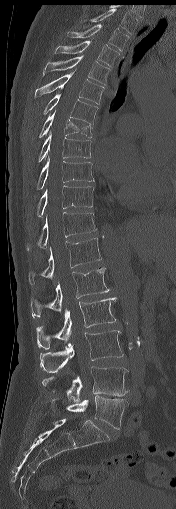

Spine CT. sagittal view
Coordinates as <box>x1,y1,x2,y2</box>.
Vertebra bounding boxes:
- L5: <box>51,396,127,429</box>
- L4: <box>42,366,129,401</box>
- L3: <box>40,330,123,372</box>
- L2: <box>36,297,116,349</box>
- L1: <box>31,266,109,317</box>
- T12: <box>27,236,101,284</box>
- T11: <box>27,212,97,250</box>
- T10: <box>37,185,93,216</box>
- T9: <box>37,156,94,190</box>
- T8: <box>39,131,90,161</box>
- T7: <box>38,110,92,138</box>
- T6: <box>43,93,98,125</box>
- T5: <box>34,70,104,104</box>
- T4: <box>43,55,109,84</box>
- T3: <box>54,41,118,65</box>
- T2: <box>66,24,129,51</box>
- T1: <box>89,8,139,34</box>